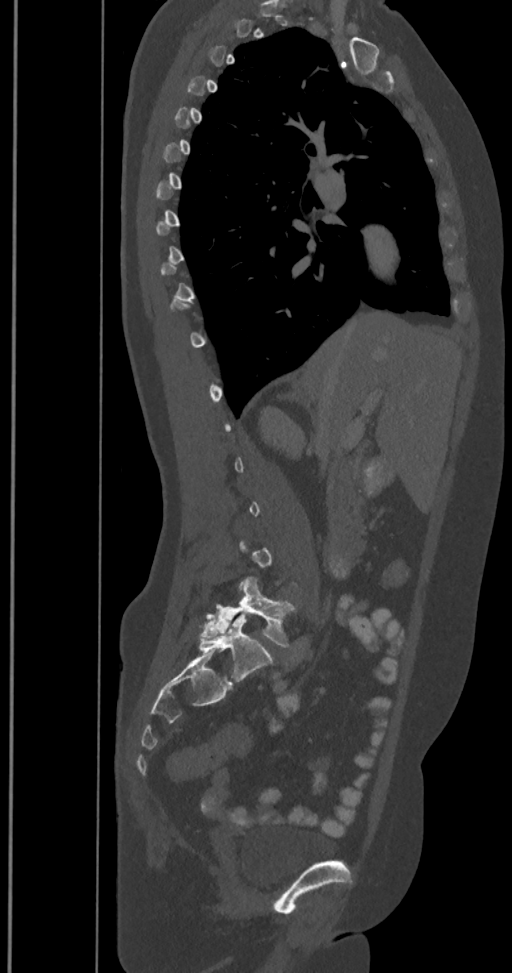
Spine CT · sagittal view · bone-window reconstruction
A vertebra is boxed only from the first to the last slice where its cross-section is at least a third of its largest; slices outside that range leave it without a box.
The labels name a sixth lumbar vertebra for this spine: L6, after L5.
<vertebrae><v name="L5" x1="201" y1="577" x2="296" y2="647"/><v name="L6" x1="199" y1="612" x2="272" y2="681"/></vertebrae>